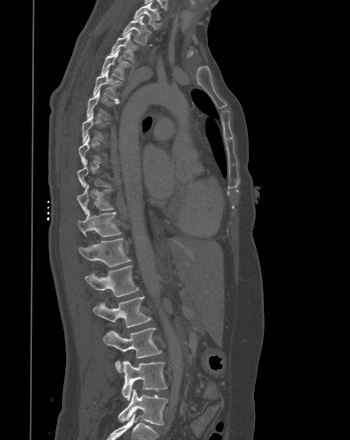
CT spine — sagittal view — bone-window reconstruction — 350x440 px
Each vertebra is boxed only on the slices from the first to the last where its cross-section reaches a third of its largest, so a slice outside that range leaves it unboxed.
<vertebrae><v name="L5" x1="118" y1="389" x2="167" y2="425"/><v name="L4" x1="121" y1="360" x2="167" y2="400"/><v name="L3" x1="103" y1="327" x2="161" y2="372"/><v name="L2" x1="93" y1="296" x2="151" y2="327"/><v name="L1" x1="85" y1="265" x2="138" y2="297"/><v name="T12" x1="78" y1="238" x2="130" y2="266"/><v name="T11" x1="77" y1="209" x2="121" y2="237"/><v name="T10" x1="77" y1="184" x2="113" y2="214"/><v name="T5" x1="93" y1="69" x2="121" y2="100"/><v name="T4" x1="101" y1="49" x2="130" y2="79"/><v name="T3" x1="110" y1="31" x2="138" y2="60"/><v name="T2" x1="122" y1="15" x2="151" y2="44"/><v name="T1" x1="133" y1="0" x2="160" y2="29"/></vertebrae>